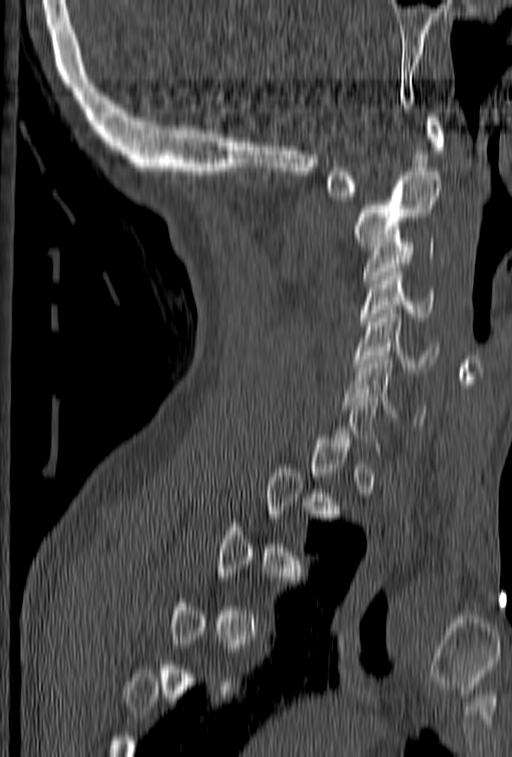 CT — sagittal reformat — Bone window (WL 400, WW 1800) — 512x757 px
A vertebra is boxed only from the first to the last slice where its cross-section is at least a third of its largest; slices outside that range leave it without a box.
<vertebrae><v name="C1" x1="325" y1="113" x2="444" y2="200"/><v name="C2" x1="355" y1="172" x2="442" y2="250"/><v name="C3" x1="363" y1="238" x2="435" y2="283"/><v name="C4" x1="359" y1="264" x2="435" y2="325"/><v name="C5" x1="353" y1="301" x2="439" y2="371"/><v name="C6" x1="346" y1="356" x2="425" y2="421"/></vertebrae>